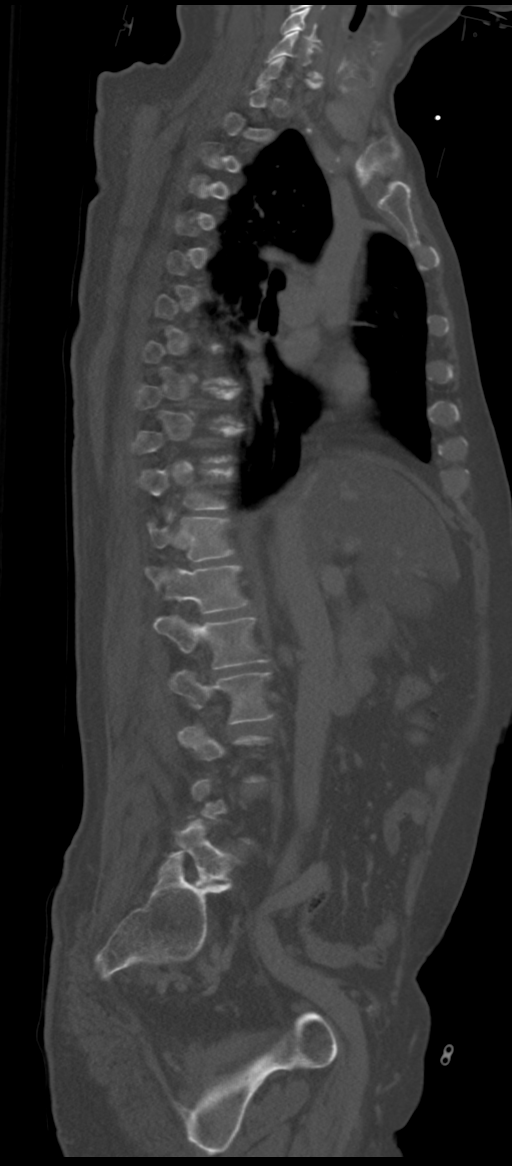 CT spine · sagittal view · Bone window (WL 400, WW 1800). Each row gives a vertebra's box as x1, y1, x2, y2 in pixels: top-left corner, then bottom-right corner.
A vertebra is boxed only from the first to the last slice where its cross-section is at least a third of its largest; slices outside that range leave it without a box.
The labels name a sixth lumbar vertebra for this spine: L6, after L5.
| vertebra | x1 | y1 | x2 | y2 |
|---|---|---|---|---|
| C5 | 280 | 8 | 319 | 42 |
| C6 | 269 | 32 | 322 | 85 |
| T12 | 148 | 513 | 233 | 561 |
| L1 | 145 | 565 | 248 | 614 |
| L2 | 153 | 615 | 268 | 668 |
| L3 | 170 | 671 | 273 | 724 |
| L6 | 172 | 821 | 236 | 883 |